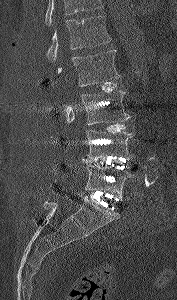
CT, spine — sagittal view — 177 mm across the image. Boxes: x1 y1 x2 y2 (pixel coords, space-separated). Where the top of the scan cuts through a vertebra, that vertebra gets no label or box. Vertebrae labeled: L1 at 46 15 111 61, L2 at 57 50 120 86, L3 at 66 90 130 124, L4 at 87 130 134 159, L5 at 83 160 133 199.